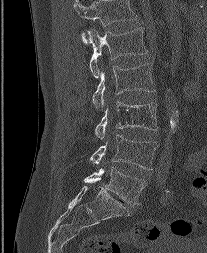 CT, spine; sagittal view; W/L 1800/400 HU. In the table, x1 and y1 are a box's top-left corner and x2 and y2 its bottom-right corner, in pixels.
In this scan, the topmost labeled vertebra is L1 and the lowest is L5.
| vertebra | x1 | y1 | x2 | y2 |
|---|---|---|---|---|
| L1 | 86 | 28 | 147 | 77 |
| L2 | 92 | 63 | 154 | 109 |
| L3 | 95 | 101 | 157 | 139 |
| L4 | 90 | 134 | 157 | 169 |
| L5 | 84 | 168 | 144 | 205 |